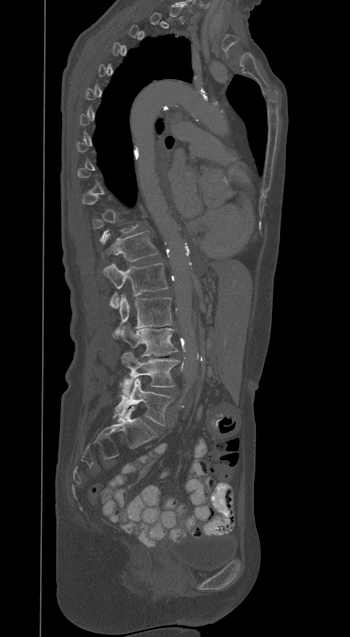 CT; sagittal view; W/L 1800/400 HU; 350x637 px. Coordinates as <box>x1,y1,x2,y2</box>. A vertebra is boxed only from the first to the last slice where its cross-section is at least a third of its largest; slices outside that range leave it without a box. Vertebrae labeled: T12 at <box>102,231,158,261</box>, L1 at <box>103,263,168,308</box>, L2 at <box>114,294,172,336</box>, L3 at <box>118,324,177,355</box>, L4 at <box>121,352,179,396</box>, L5 at <box>113,378,172,425</box>.